Spine CT — sagittal view — bone window — scan covers 8 annotated vertebrae — the image is 322 mm wide
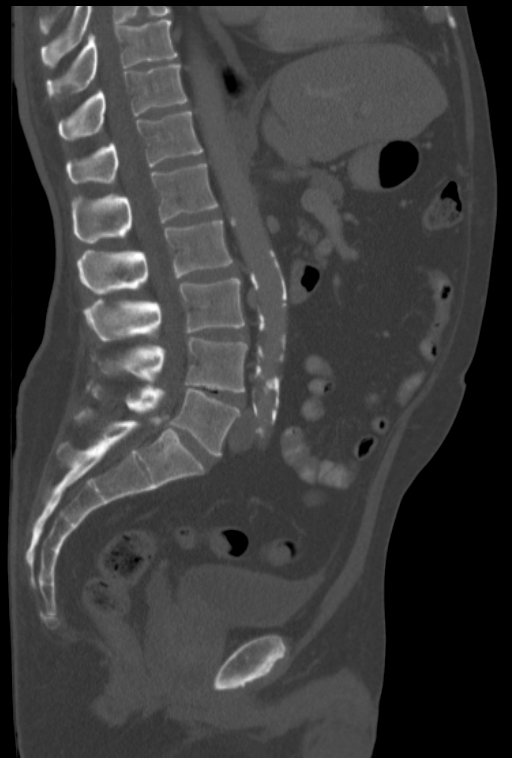 Box values are [left, top, right, bottom] in pixels.
In this scan, the topmost labeled vertebra is T10 and the lowest is L5.
{"vertebrae":{"L5":[86,383,239,455],"L4":[93,337,247,392],"L3":[83,278,244,341],"L2":[77,220,233,293],"L1":[72,162,217,242],"T12":[65,110,203,184],"T11":[58,64,187,141],"T10":[46,19,177,98]}}